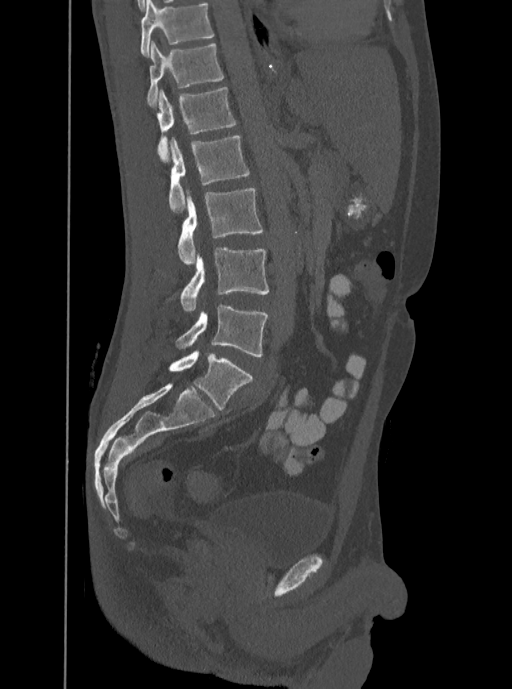

CT spine · sagittal view · image width 350 mm
Box values are [left, top, right, bottom] in pixels.
This scan's labels start at T12 at the top and end at L5 at the bottom.
{"vertebrae":{"T12":[147,41,224,106],"L1":[157,87,236,162],"L2":[168,136,249,212],"L3":[177,188,262,264],"L4":[180,246,269,311],"L5":[175,305,268,357]}}